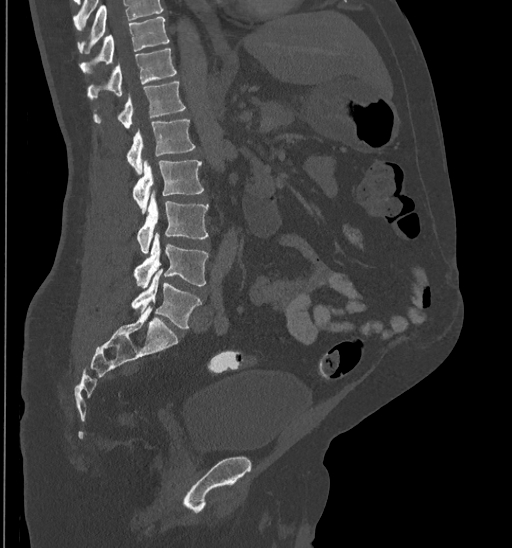

CT, spine — sagittal view — bone-window reconstruction — 435 mm across the image — 512x548 px
Boxes are (x1, y1, x2, y2) in pixels. Vertebrae that run past the top of the scan are left unlabeled. The labeled vertebrae in this slice are: L5 at (131, 271, 201, 327), L4 at (134, 232, 208, 288), L3 at (136, 193, 208, 252), L2 at (133, 159, 204, 211), L1 at (126, 120, 194, 174), T12 at (93, 81, 186, 128), T11 at (87, 48, 177, 100), T10 at (79, 16, 170, 75).